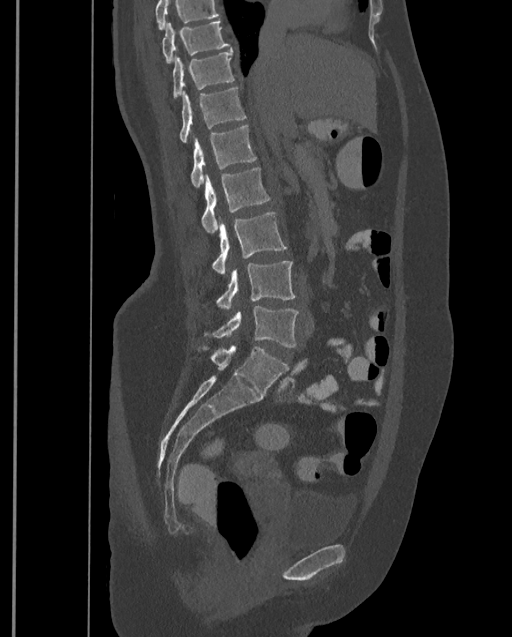 Spine computed tomography · sagittal view · 399 mm wide

In the table, x1 and y1 are a box's top-left corner and x2 and y2 its bottom-right corner, in pixels.
A vertebra cut off by the top edge of the scan is not labeled and has no box.
In this scan, the topmost labeled vertebra is T9 and the lowest is L4.
| vertebra | x1 | y1 | x2 | y2 |
|---|---|---|---|---|
| L4 | 213 | 306 | 298 | 347 |
| L3 | 216 | 260 | 295 | 310 |
| L2 | 212 | 211 | 286 | 275 |
| L1 | 201 | 167 | 270 | 232 |
| T12 | 191 | 126 | 257 | 187 |
| T11 | 180 | 87 | 247 | 142 |
| T10 | 172 | 50 | 234 | 98 |
| T9 | 162 | 21 | 229 | 63 |